CT spine; Sagittal slice 85/160; bone window; 160x205 px; some of the image was removed or blocked out with constant pixels
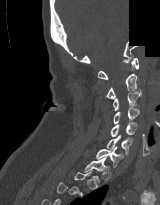
Each vertebra is boxed only on the slices from the first to the last where its cross-section reaches a third of its largest, so a slice outside that range leaves it unboxed.
<vertebrae><v name="T1" x1="84" y1="156" x2="109" y2="183"/><v name="C7" x1="95" y1="146" x2="123" y2="167"/><v name="C6" x1="106" y1="135" x2="133" y2="155"/><v name="C5" x1="110" y1="122" x2="137" y2="136"/><v name="C4" x1="113" y1="107" x2="139" y2="123"/><v name="C3" x1="112" y1="90" x2="141" y2="110"/><v name="C2" x1="106" y1="73" x2="137" y2="99"/><v name="C1" x1="97" y1="57" x2="139" y2="79"/></vertebrae>